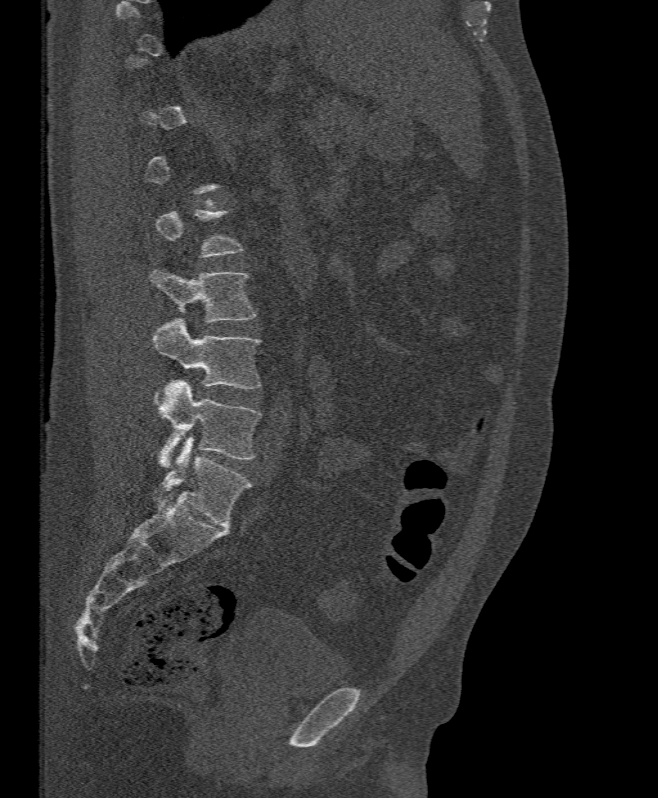

CT, spine — sagittal view — 395 mm wide

Boxes below are [x1, y1, x2, y2] in pixels.
A vertebra gets a box only on the slices from the first to the last where its cross-section is at least a third of its largest; on a slice outside that range it gets none.
{"vertebrae":{"L5":[158,380,260,468],"L4":[153,318,260,389],"L3":[150,268,255,322]}}